CT, spine; Sagittal slice 94/208; 208 mm across the image; W/L 1800/400 HU
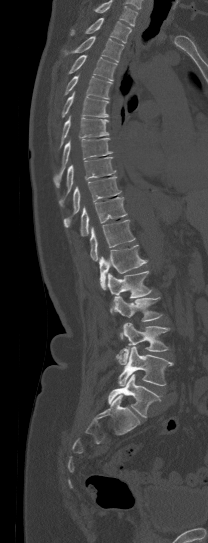
Coordinates as <box>x1,y1,x2,y2</box>.
A vertebra cut off by the top edge of the scan is not labeled and has no box.
Vertebra bounding boxes:
- T1: <box>70,17,132,43</box>
- T2: <box>72,36,123,62</box>
- T3: <box>69,55,117,80</box>
- T4: <box>65,75,111,98</box>
- T5: <box>62,91,110,117</box>
- T6: <box>61,116,109,144</box>
- T7: <box>53,138,112,187</box>
- T8: <box>58,157,116,207</box>
- T9: <box>64,176,120,227</box>
- T10: <box>80,197,126,236</box>
- T11: <box>90,220,134,261</box>
- T12: <box>99,245,147,290</box>
- L1: <box>108,271,151,313</box>
- L2: <box>114,296,161,338</box>
- L3: <box>116,323,170,364</box>
- L4: <box>118,346,173,386</box>
- L5: <box>108,374,161,417</box>